Computed tomography of the spine. sagittal reformat. 300x346 px
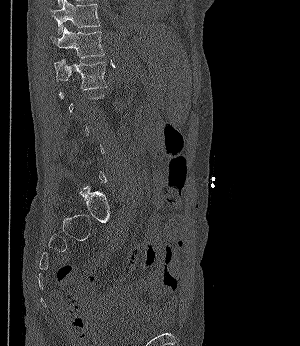

Box edges are left/top/right/bottom in pixels.
A vertebra gets a box only on the slices from the first to the last where its cross-section is at least a third of its largest; on a slice outside that range it gets none.
Vertebra bounding boxes:
- L1: left=54, top=58, right=106, bottom=89
- T12: left=49, top=27, right=104, bottom=58
- T11: left=51, top=0, right=100, bottom=35